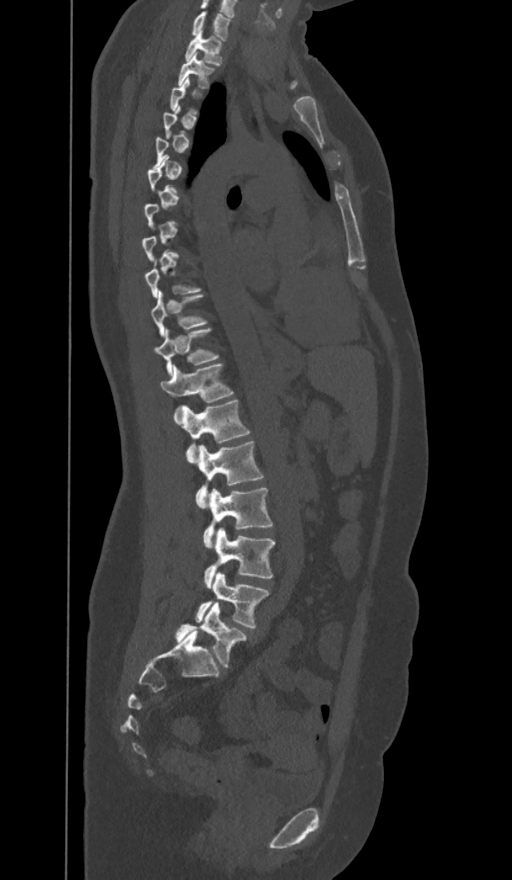

CT spine — sagittal view — the image is 374 mm wide
In the table, x1 and y1 are a box's top-left corner and x2 and y2 its bottom-right corner, in pixels.
Not every vertebra on this slice has a box: a vertebra is boxed only from the first to the last slice where its cross-section is at least a third of its largest, and this slice is outside that range for at least one of them.
The labels name a sixth lumbar vertebra for this spine: L6, after L5.
| vertebra | x1 | y1 | x2 | y2 |
|---|---|---|---|---|
| L6 | 174 | 602 | 247 | 668 |
| L5 | 196 | 572 | 269 | 629 |
| L4 | 204 | 529 | 275 | 587 |
| L3 | 204 | 487 | 273 | 547 |
| L2 | 196 | 442 | 263 | 508 |
| L1 | 175 | 399 | 249 | 461 |
| T12 | 160 | 363 | 233 | 417 |
| T11 | 155 | 328 | 218 | 375 |
| T10 | 152 | 291 | 207 | 335 |
| T2 | 178 | 54 | 214 | 88 |
| T1 | 185 | 30 | 222 | 64 |
| C7 | 191 | 12 | 230 | 40 |